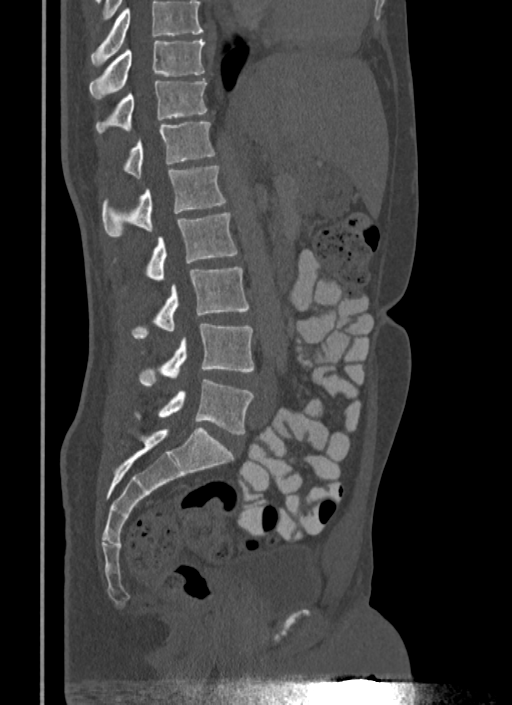

Spine CT. sagittal view. Bone window (WL 400, WW 1800). 512x705 px
Boxes: x1 y1 x2 y2 (pixel coords, space-separated). Vertebrae that run past the top of the scan are left unlabeled. The labeled vertebrae in this slice are: T10 at 89 38 205 98, T11 at 96 78 207 133, T12 at 125 122 214 177, L1 at 102 166 226 235, L2 at 147 212 237 281, L3 at 132 267 249 338, L4 at 140 324 253 386, L5 at 135 379 253 434.